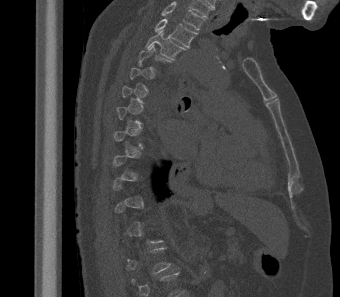
Computed tomography of the spine. sagittal view
Boxes: x1:y1:x2:y2 in pixels.
Each vertebra is boxed only on the slices from the first to the last where its cross-section reaches a third of its largest, so a slice outside that range leaves it unboxed.
This scan's labels start at T2 at the top and end at L1 at the bottom.
T2: 154:18:197:47
T3: 145:31:186:59
T4: 138:44:171:71